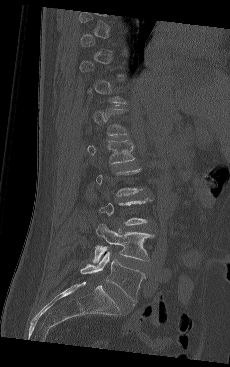

Spine computed tomography · sagittal view · Bone window (WL 400, WW 1800) · 230x367 px
Boxes below are [x1, y1, x2, y2] in pixels.
Not every vertebra on this slice has a box: a vertebra is boxed only from the first to the last slice where its cross-section is at least a third of its largest, and this slice is outside that range for at least one of them.
{"vertebrae":{"L1":[87,140,135,164],"L4":[93,223,154,262],"L5":[80,251,145,301]}}